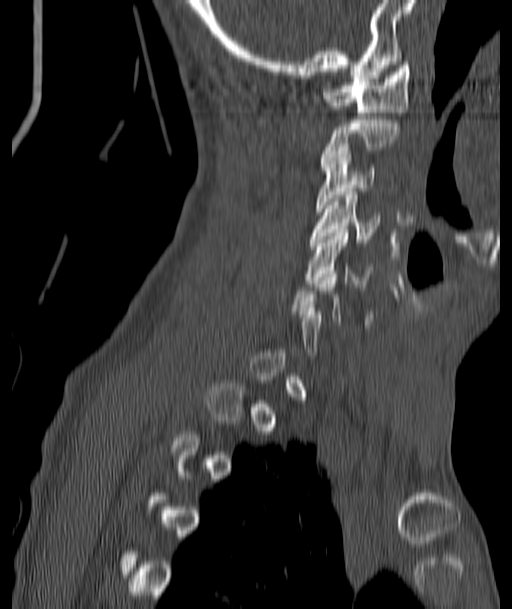

CT spine. sagittal view. W/L 1800/400 HU. Coordinates as <box>x1,y1,x2,y2</box>. Each vertebra is boxed only on the slices from the first to the last where its cross-section reaches a third of its largest, so a slice outside that range leaves it unboxed. The labeled vertebrae in this slice are: C1 at <box>324,62,411,115</box>, C2 at <box>321,116,400,163</box>, C3 at <box>316,147,375,211</box>, C4 at <box>310,192,378,242</box>, C5 at <box>305,229,374,286</box>.